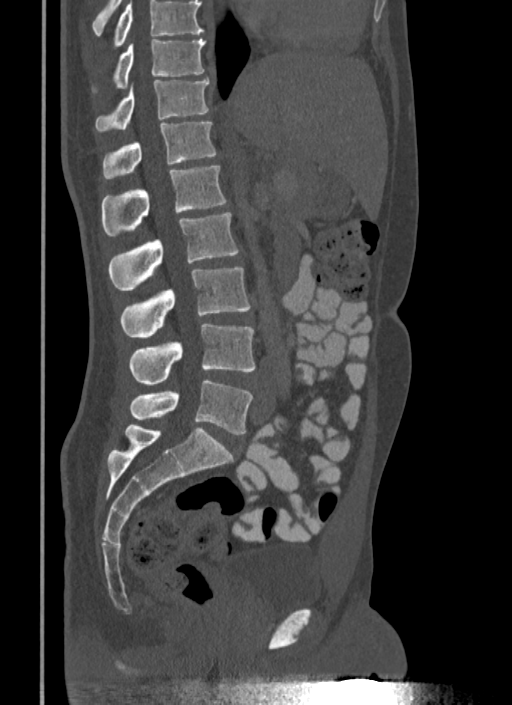
CT spine; sagittal view
Boxes: x1:y1:x2:y2 in pixels.
No box is given to a vertebra that the top edge of the scan cuts off.
T10: 92:38:205:94
T11: 95:78:208:132
T12: 102:122:216:178
L1: 101:166:226:235
L2: 108:212:238:290
L3: 120:267:250:338
L4: 129:324:255:385
L5: 129:379:253:434